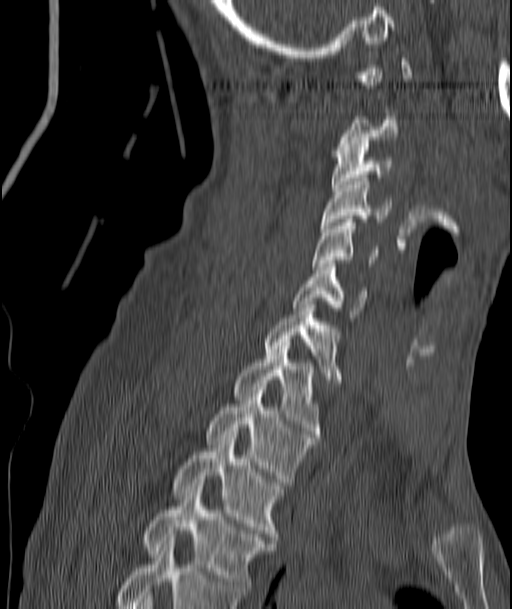 CT spine; sagittal reformat
Boxes: x1:y1:x2:y2 in pixels.
Not every vertebra on this slice has a box: a vertebra is boxed only from the first to the last slice where its cross-section is at least a third of its largest, and this slice is outside that range for at least one of them.
C3: 332:144:391:191
C4: 321:178:391:228
C5: 313:219:378:266
C6: 294:264:367:317
C7: 264:301:339:382
T1: 234:339:320:437
T2: 206:390:315:485
T3: 173:435:282:543
T4: 143:486:274:595